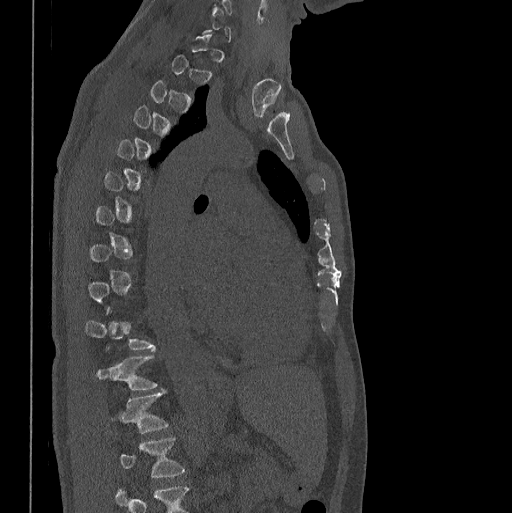

CT spine. the image is 398 mm wide. sagittal view. Bone window (WL 400, WW 1800)
Each box is [x1, y1, x2, y2] in pixels: top-left corner, then bottom-right corner.
Each vertebra is boxed only on the slices from the first to the last where its cross-section reaches a third of its largest, so a slice outside that range leaves it unboxed.
Labels in this scan begin with C7 at the top and end with L1 at the bottom.
{"vertebrae":{"T11":[96,355,156,389],"T12":[121,392,167,432],"L1":[121,436,184,477]}}